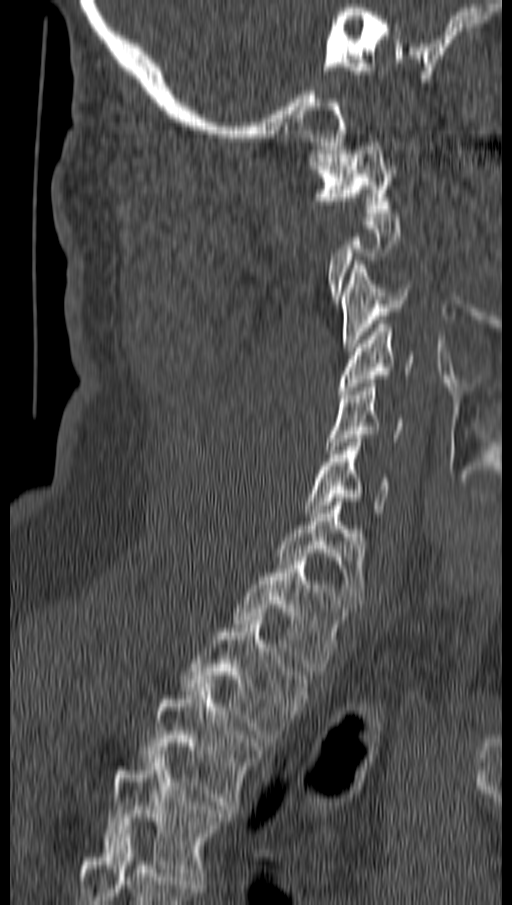
CT, spine — sagittal view — the image spans 162 mm across

Columns x1, y1, x2, y2 give each box's top-left and bottom-right pixels.
A vertebra gets a box only on the slices from the first to the last where its cross-section is at least a third of its largest; on a slice outside that range it gets none.
| vertebra | x1 | y1 | x2 | y2 |
|---|---|---|---|---|
| T4 | 102 | 755 | 231 | 880 |
| T3 | 140 | 683 | 262 | 809 |
| T2 | 181 | 620 | 310 | 742 |
| T1 | 232 | 557 | 348 | 675 |
| C7 | 276 | 502 | 367 | 607 |
| C6 | 304 | 439 | 391 | 517 |
| C5 | 327 | 383 | 402 | 453 |
| C4 | 338 | 320 | 414 | 394 |
| C3 | 342 | 261 | 409 | 351 |
| C1 | 311 | 138 | 396 | 216 |